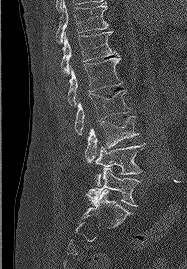
Spine computed tomography — the image spans 187 mm across — sagittal view — 187x269 px
Boxes: x1 y1 x2 y2 (pixel coords, space-separated).
Vertebra bounding boxes:
- T11: 56 0 109 42
- T12: 60 31 118 74
- L1: 68 56 122 105
- L2: 74 90 129 135
- L3: 85 116 138 163
- L4: 95 143 145 186
- L5: 87 167 140 206